Spine computed tomography — sagittal plane, index 277
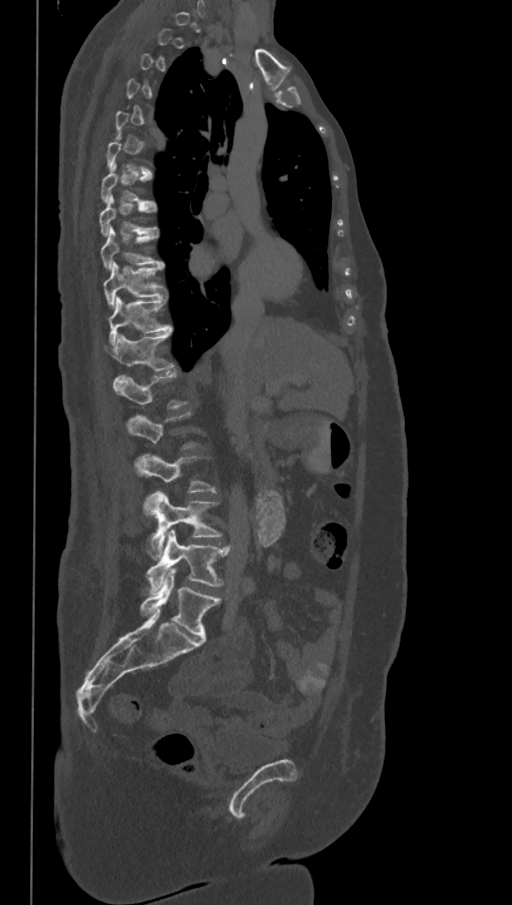
Box values are [left, top, right, bottom] in pixels.
A vertebra gets a box only on the slices from the first to the last where its cross-section is at least a third of its largest; on a slice outside that range it gets none.
These labels give the spine a sixth lumbar vertebra, L6, below L5.
{"vertebrae":{"L6":[140,568,220,639],"L5":[147,530,231,591],"L4":[143,491,221,557],"L3":[135,453,214,492],"L1":[112,373,185,407],"T12":[106,331,173,370],"T11":[108,296,171,343],"T10":[103,262,166,306],"T9":[100,227,163,268],"T8":[99,194,156,236],"T7":[101,164,155,206]}}